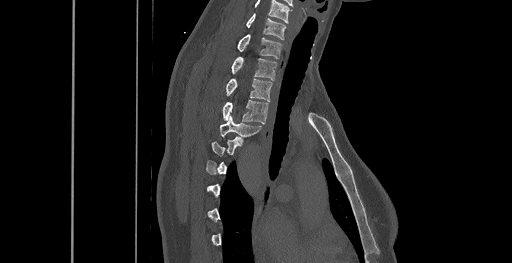 Computed tomography of the spine; sagittal reformat; bone window; the image is 461 mm wide

Each box is [x1, y1, x2, y2] in pixels: top-left corner, then bottom-right corner.
Each vertebra is boxed only on the slices from the first to the last where its cross-section reaches a third of its largest, so a slice outside that range leaves it unboxed.
The highest labeled vertebra in this scan is C6; the lowest is T8.
{"vertebrae":{"T4":[219,115,260,140],"T3":[223,100,268,123],"T2":[226,79,272,101],"T1":[231,56,276,80],"C7":[238,34,281,59],"C6":[247,13,285,39]}}